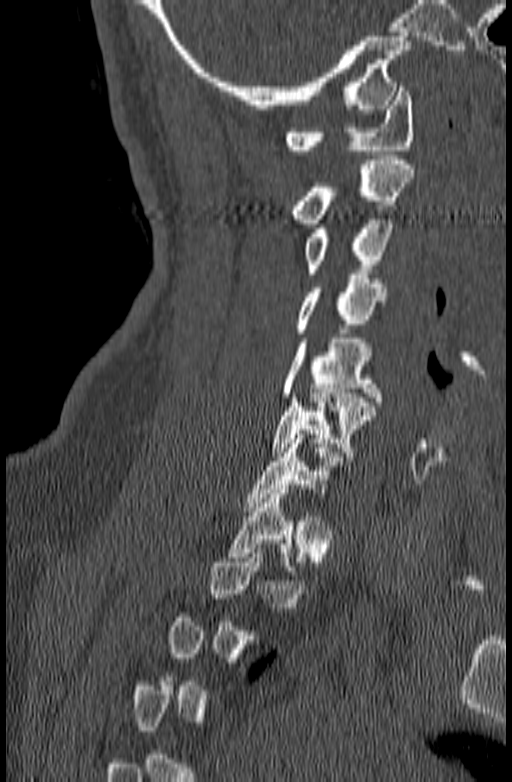

CT, spine · sagittal reformat · bone window. Boxes are (x1, y1, x2, y2) in pixels.
A vertebra is boxed only from the first to the last slice where its cross-section is at least a third of its largest; slices outside that range leave it without a box.
C1: (285, 87, 414, 154)
C2: (290, 160, 415, 223)
C3: (305, 215, 393, 278)
C4: (294, 274, 386, 333)
C5: (281, 338, 381, 401)
C6: (270, 389, 376, 456)
C7: (244, 434, 352, 511)